Spine computed tomography — sagittal plane, index 246 — 824x928 px
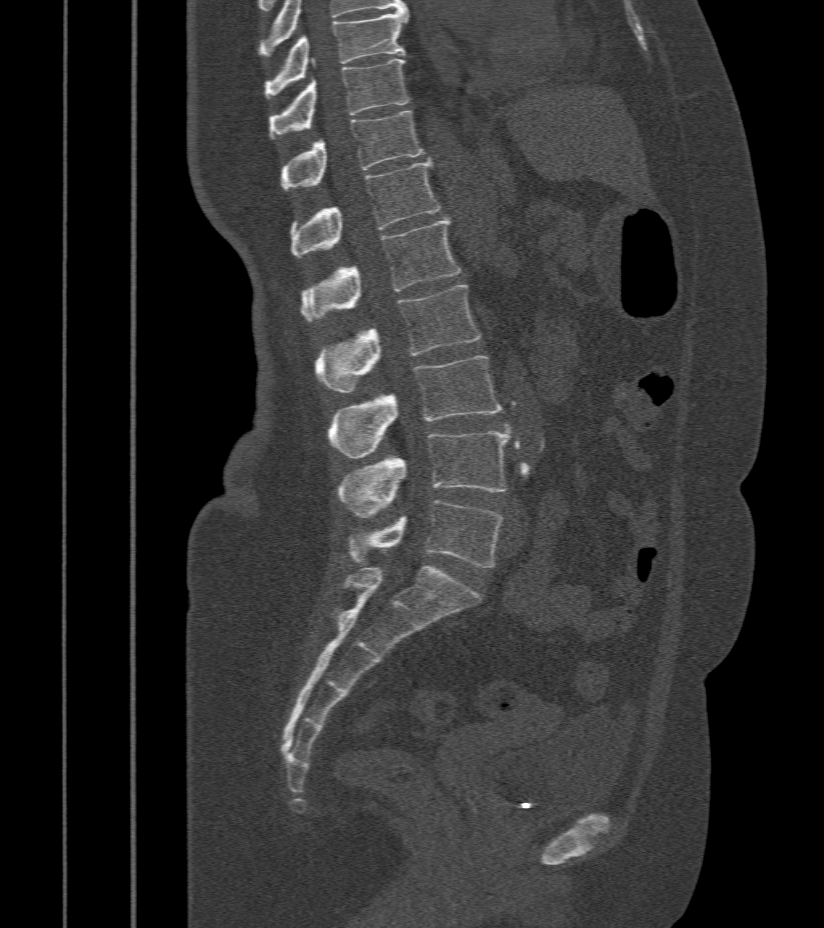
Boxes are (x1, y1, x2, y2) in pixels.
Vertebra bounding boxes:
- T9: (264, 11, 409, 98)
- T10: (270, 59, 409, 138)
- T11: (282, 111, 425, 190)
- T12: (291, 159, 442, 258)
- L1: (303, 219, 461, 320)
- L2: (315, 285, 480, 392)
- L3: (328, 357, 503, 458)
- L4: (338, 431, 511, 518)
- L5: (348, 501, 503, 568)